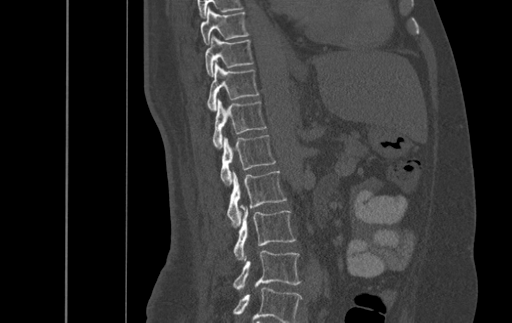
CT spine; sagittal view; image 500 mm wide; 512x323 px
Each vertebra maps to its box as [x1, y1, x2, y2], the pixel coordinates of its top-left and bottom-right corners.
In this scan, the topmost labeled vertebra is T9 and the lowest is L4.
{"vertebrae":{"L4":[234,250,300,289],"L3":[234,206,295,260],"L2":[227,170,286,226],"L1":[220,135,275,184],"T12":[213,98,266,149],"T11":[207,61,258,111],"T10":[205,35,253,76],"T9":[200,7,248,44]}}